Spine CT · sagittal view · bone-window reconstruction · image width 427 mm · 427x472 px
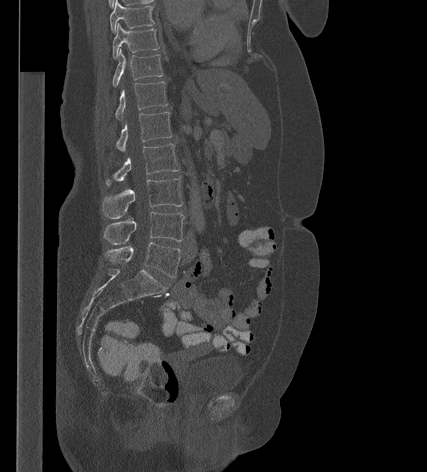 Box edges are left/top/right/bottom in pixels.
T9: left=109, top=0, right=154, bottom=32
T10: left=112, top=24, right=159, bottom=58
T11: left=112, top=49, right=163, bottom=87
T12: left=115, top=81, right=167, bottom=119
L1: left=116, top=112, right=171, bottom=150
L2: left=105, top=144, right=179, bottom=185
L3: left=102, top=178, right=183, bottom=218
L4: left=104, top=212, right=184, bottom=244
L5: left=106, top=242, right=180, bottom=277